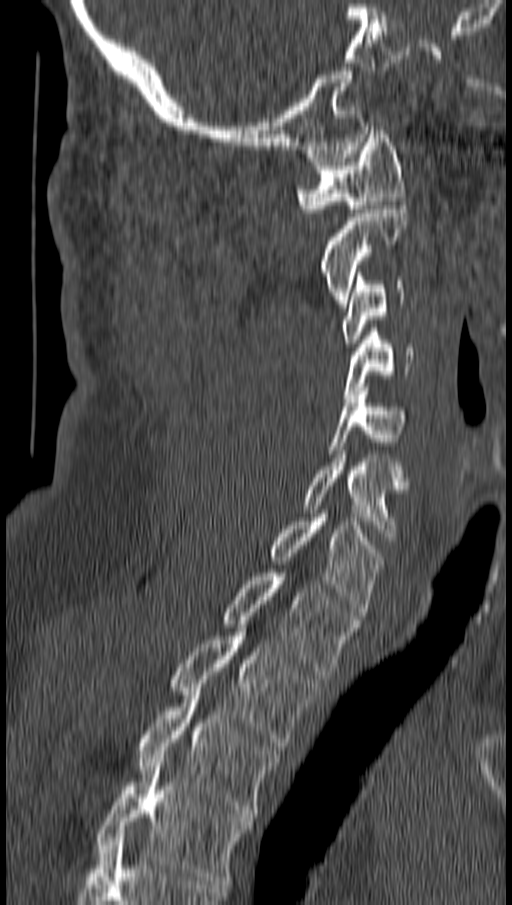
Computed tomography of the spine. sagittal view. Bone window (WL 400, WW 1800)

<vertebrae><v name="C1" x1="298" y1="126" x2="405" y2="212"/><v name="C2" x1="320" y1="201" x2="408" y2="307"/><v name="C3" x1="342" y1="273" x2="405" y2="343"/><v name="C4" x1="343" y1="328" x2="413" y2="398"/><v name="C5" x1="330" y1="387" x2="405" y2="453"/><v name="C6" x1="304" y1="450" x2="408" y2="540"/><v name="C7" x1="270" y1="510" x2="382" y2="615"/><v name="T1" x1="222" y1="573" x2="357" y2="675"/><v name="T2" x1="172" y1="628" x2="319" y2="750"/><v name="T3" x1="137" y1="691" x2="278" y2="817"/><v name="T4" x1="96" y1="755" x2="250" y2="884"/></vertebrae>